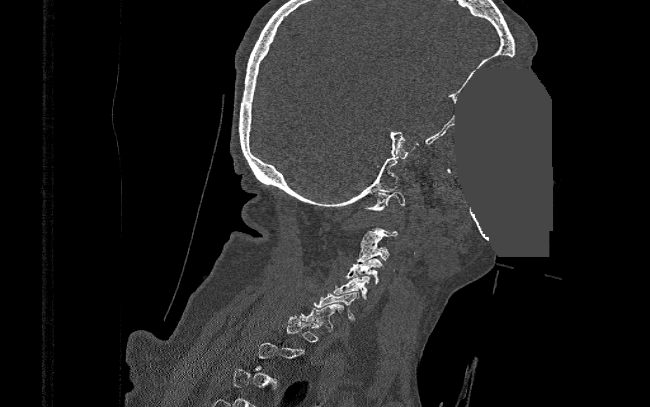 CT, spine — sagittal view — W/L 1800/400 HU — 650x407 px — 390 mm wide — a region of this slice is masked with a uniform fill
Each vertebra is boxed only on the slices from the first to the last where its cross-section reaches a third of its largest, so a slice outside that range leaves it unboxed.
<vertebrae><v name="C1" x1="364" y1="191" x2="404" y2="211"/><v name="C3" x1="357" y1="242" x2="389" y2="262"/><v name="C4" x1="345" y1="258" x2="384" y2="284"/><v name="C5" x1="333" y1="276" x2="370" y2="299"/><v name="C6" x1="314" y1="292" x2="360" y2="319"/><v name="C7" x1="300" y1="303" x2="344" y2="331"/></vertebrae>